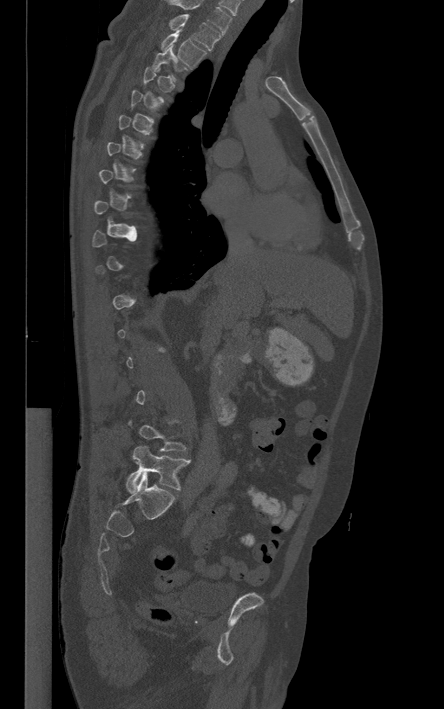 CT, spine — sagittal view — bone-window reconstruction — the image spans 444 mm across

Bounding boxes as [x1, y1, x2, y2] in pixel coordinates.
Each vertebra is boxed only on the slices from the first to the last where its cross-section reaches a third of its largest, so a slice outside that range leaves it unboxed.
In this scan, the topmost labeled vertebra is T1 and the lowest is L5.
L5: [126, 445, 190, 492]
T2: [159, 30, 206, 67]
T1: [170, 14, 220, 50]